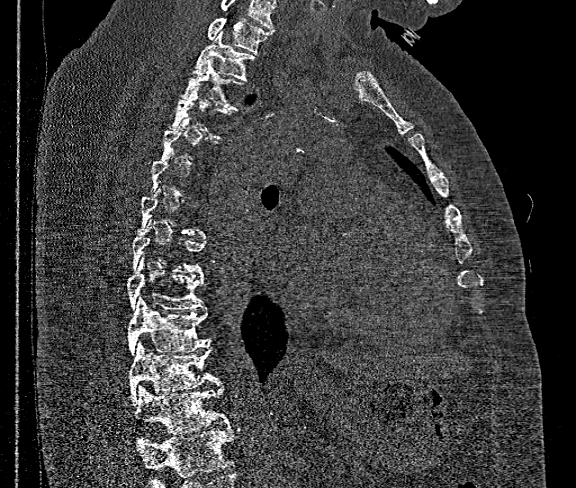

CT spine; sagittal reformat; W/L 1800/400 HU; 576x488 px
Box edges are left/top/right/bottom in pixels. A vertebra is boxed only from the first to the last slice where its cross-section is at least a third of its largest; slices outside that range leave it without a box. A vertebra cut off by the bottom edge of the scan is not labeled and has no box. This scan's labels start at T1 at the top and end at T12 at the bottom. 7 vertebrae labeled — T1 at left=208, top=18, right=271, bottom=52; T2 at left=195, top=31, right=254, bottom=79; T3 at left=181, top=58, right=242, bottom=110; T9 at left=126, top=258, right=204, bottom=310; T10 at left=128, top=297, right=208, bottom=355; T11 at left=129, top=340, right=219, bottom=401; T12 at left=134, top=383, right=230, bottom=433.